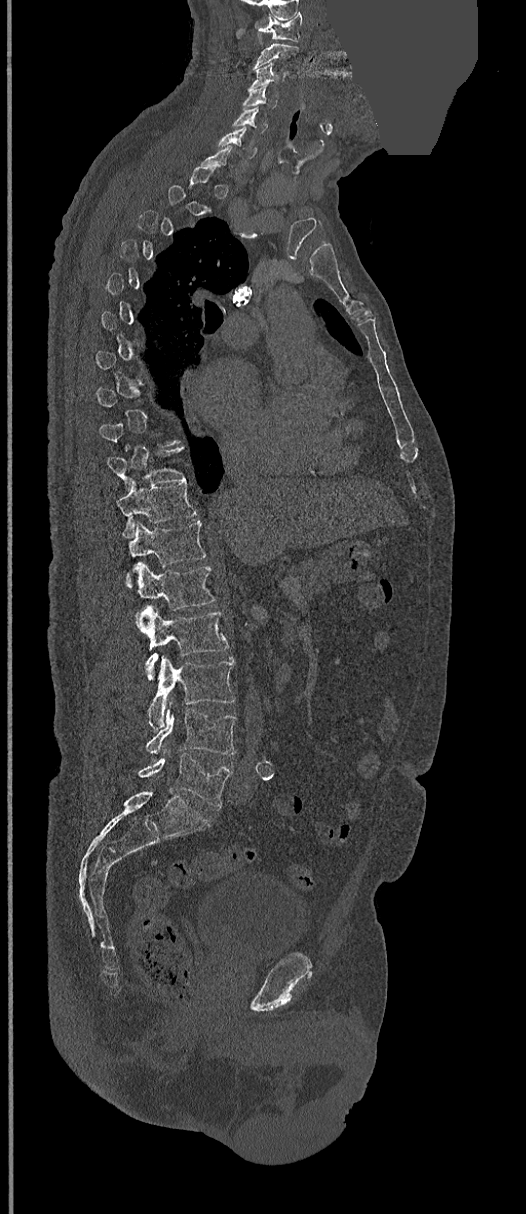

Spine computed tomography · sagittal reformat · some of the image was removed or blocked out with constant pixels
Box edges are left/top/right/bottom in pixels. Not every vertebra on this slice has a box: a vertebra is boxed only from the first to the last slice where its cross-section is at least a third of its largest, and this slice is outside that range for at least one of them. Vertebrae labeled: L5 at left=139, top=753, right=232, bottom=808, L4 at left=146, top=701, right=236, bottom=755, L3 at left=147, top=656, right=234, bottom=729, L2 at left=135, top=606, right=229, bottom=679, L1 at left=137, top=563, right=215, bottom=610, T12 at left=127, top=520, right=206, bottom=586, T11 at left=117, top=480, right=196, bottom=536, T10 at left=107, top=447, right=185, bottom=488, C6 at left=216, top=127, right=257, bottom=158, C5 at left=233, top=107, right=268, bottom=133, C4 at left=242, top=87, right=276, bottom=109, C3 at left=248, top=63, right=286, bottom=88, C2 at left=254, top=43, right=298, bottom=70, C1 at left=257, top=13, right=302, bottom=40.